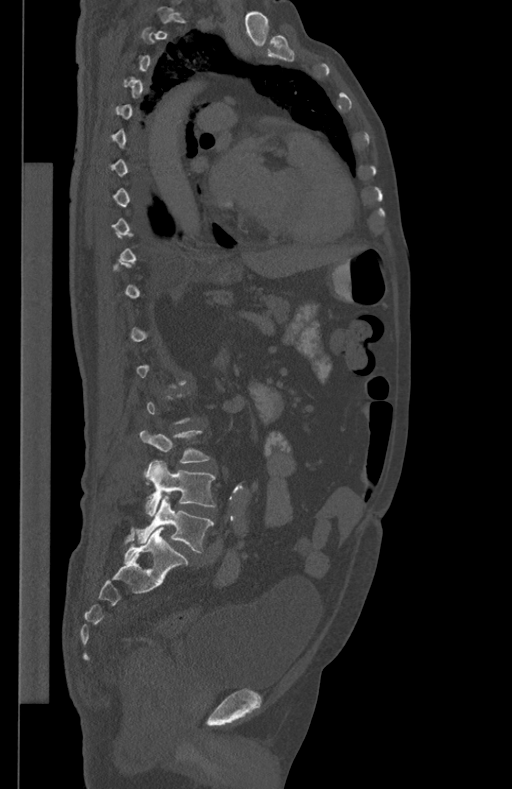
CT, spine — sagittal view — 512x789 px

A vertebra is boxed only from the first to the last slice where its cross-section is at least a third of its largest; slices outside that range leave it without a box.
<vertebrae><v name="L5" x1="136" y1="495" x2="214" y2="552"/><v name="L4" x1="145" y1="460" x2="216" y2="516"/><v name="L3" x1="139" y1="429" x2="210" y2="462"/></vertebrae>